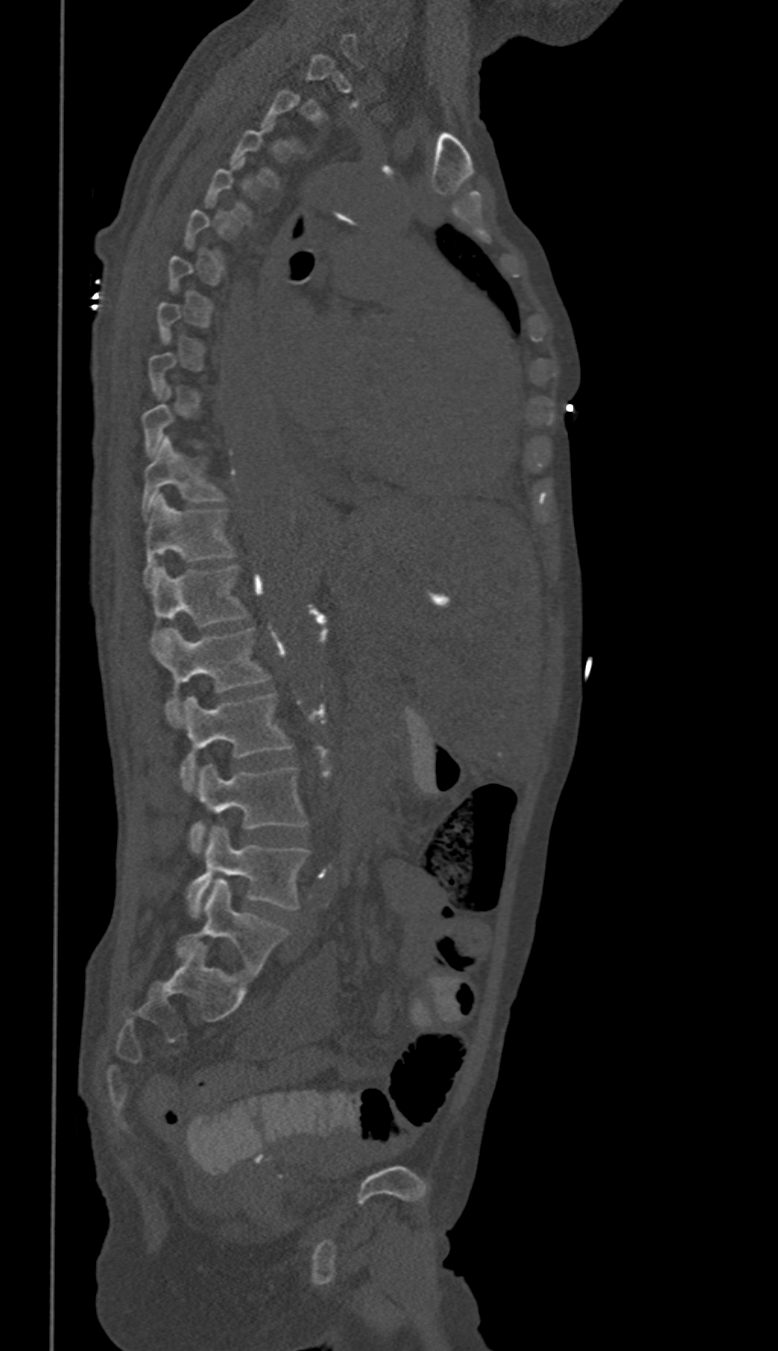 CT spine · sagittal reformat · 778x1351 px · 350 mm across the image

Boxes: x1:y1:x2:y2 in pixels.
A vertebra gets a box only on the slices from the first to the last where its cross-section is at least a third of its largest; on a slice outside that range it gets none.
These labels give this spine no T12: after T11 the next vertebra is L1.
L5: 187:827:310:917
L4: 188:763:306:853
L3: 179:694:292:791
L2: 164:627:269:726
L1: 150:565:248:653
T11: 144:496:234:584
T10: 141:436:225:519